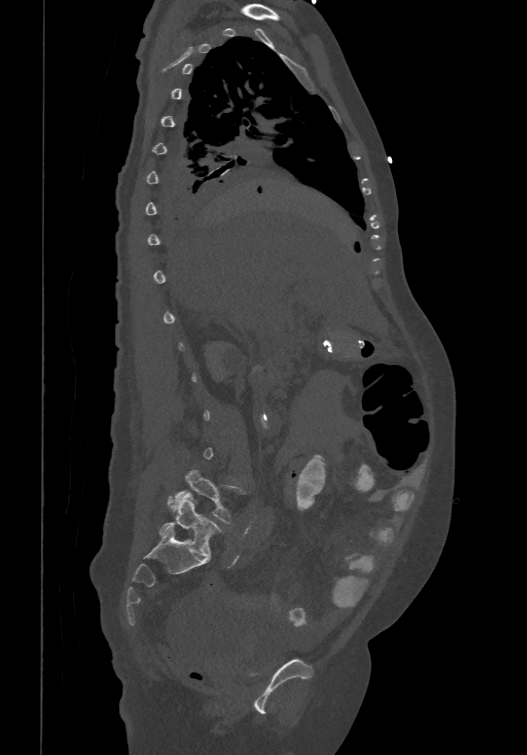

Spine computed tomography · sagittal view. Coordinates as <box>x1,y1,x2,y2</box>. Each vertebra is boxed only on the slices from the first to the last where its cross-section reaches a third of its largest, so a slice outside that range leaves it unboxed. The labels name a sixth lumbar vertebra for this spine: L6, after L5. Vertebrae labeled: L5 at <box>168,471,237,523</box>, L6 at <box>158,492,221,557</box>.